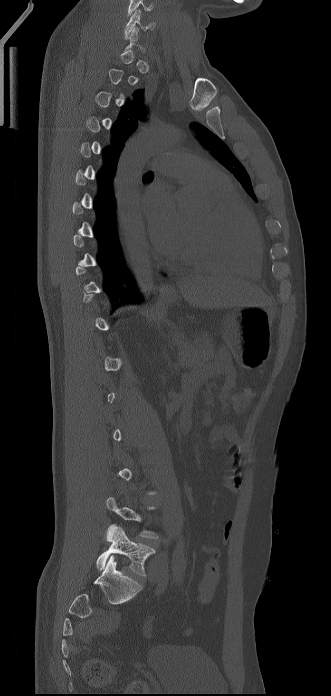 Computed tomography of the spine — sagittal view — 331 mm wide — bone-window reconstruction — 331x696 px
Box edges are left/top/right/bottom in pixels. A vertebra gets a box only on the slices from the first to the last where its cross-section is at least a third of its largest; on a slice outside that range it gets none. 2 vertebrae labeled — C6 at left=124, top=9, right=155, bottom=39; L5 at left=96, top=524, right=155, bottom=576.